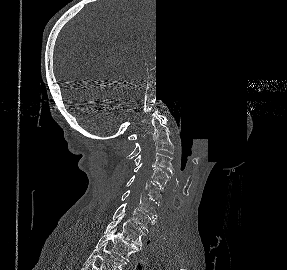
CT; image 287 mm wide; sagittal reformat; a region is blanked to uniform black, ending in a straight edge
Each row gives a vertebra's box as x1, y1, x2, y2 in pixels: top-left corner, then bottom-right corner.
| vertebra | x1 | y1 | x2 | y2 |
|---|---|---|---|---|
| C1 | 128 | 108 | 167 | 139 |
| C2 | 126 | 115 | 173 | 158 |
| C3 | 133 | 153 | 174 | 175 |
| C4 | 134 | 163 | 170 | 190 |
| C5 | 126 | 175 | 163 | 205 |
| C6 | 121 | 190 | 158 | 218 |
| C7 | 112 | 203 | 156 | 233 |
| T1 | 104 | 214 | 145 | 247 |
| T2 | 95 | 228 | 141 | 261 |